Spine CT — sagittal view — Bone window (WL 400, WW 1800)
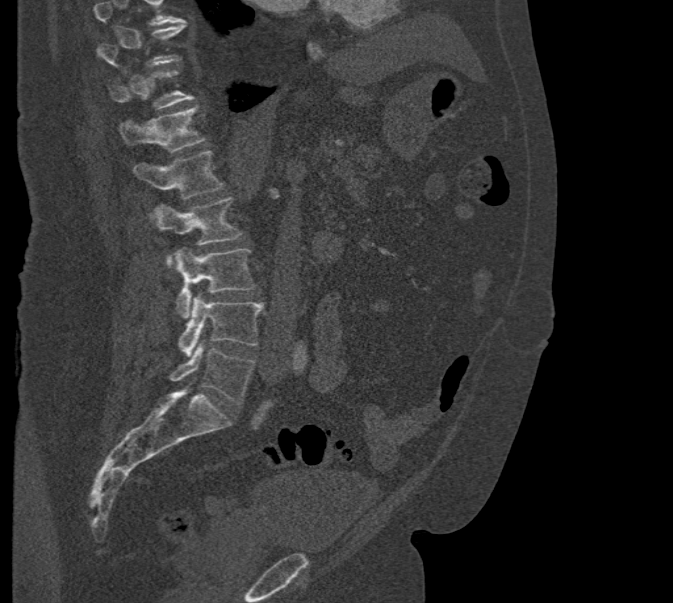 Each vertebra maps to its box as [x1, y1, x2, y2], the pixel coordinates of its top-left and bottom-right corners.
Where the top of the scan cuts through a vertebra, that vertebra gets no label or box.
{"vertebrae":{"T10":[97,22,186,67],"T11":[109,69,193,109],"T12":[118,106,207,152],"L1":[134,150,225,217],"L2":[151,198,242,268],"L3":[175,249,255,318],"L4":[179,295,263,355],"L5":[168,343,255,404]}}